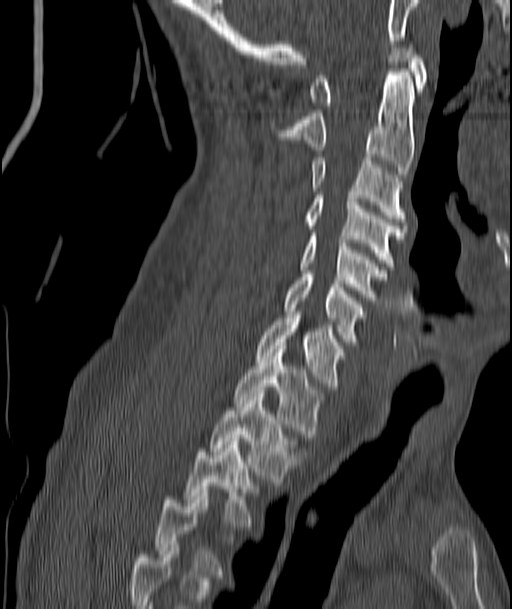

CT spine · sagittal view · Bone window (WL 400, WW 1800) · the image spans 187 mm across · 512x609 px

Boxes: x1:y1:x2:y2 in pixels.
A vertebra is boxed only from the first to the last slice where its cross-section is at least a third of its largest; slices outside that range leave it without a box.
C1: 310:44:427:105
C2: 286:68:413:177
C3: 313:157:405:221
C4: 308:192:405:266
C5: 299:233:386:300
C6: 286:274:364:341
C7: 255:311:342:386
T1: 234:349:320:437
T2: 212:394:293:482
T3: 187:438:252:526